Computed tomography of the spine — sagittal view — the image is 140 mm wide
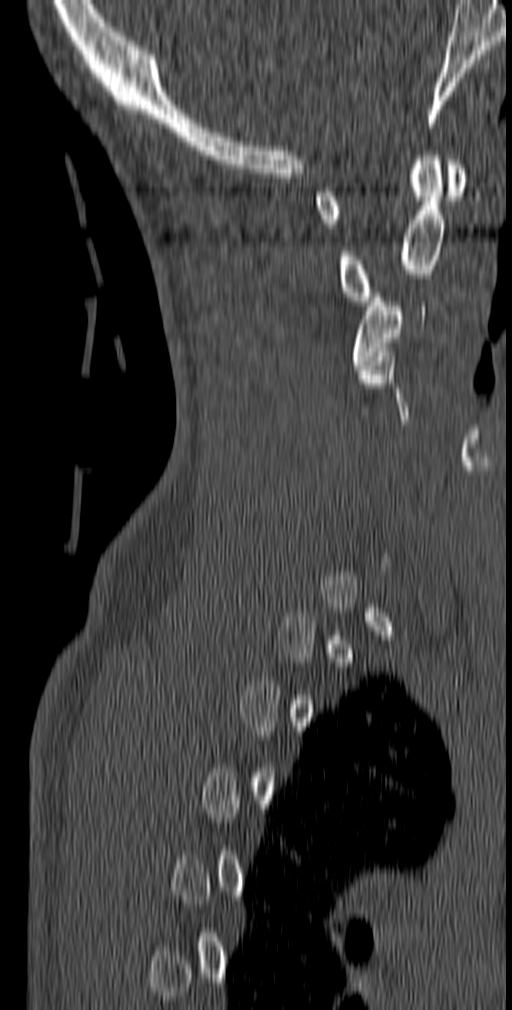 Each vertebra maps to its box as [x1, y1, x2, y2], the pixel coordinates of its top-left and bottom-right corners.
Not every vertebra on this slice has a box: a vertebra is boxed only from the first to the last slice where its cross-section is at least a third of its largest, and this slice is outside that range for at least one of them.
{"vertebrae":{"C1":[314,160,466,228],"C2":[338,151,445,305],"C3":[352,293,425,369]}}